CT, spine. the image spans 204 mm across. sagittal view. scan covers 5 annotated vertebrae
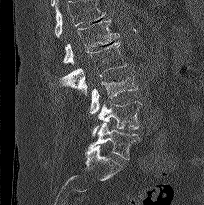
Coordinates as <box>x1,y1,x2,y2</box>.
Where the top of the scan cuts through a vertebra, that vertebra gets no label or box.
Vertebra bounding boxes:
- L1: <box>62,19,119,64</box>
- L2: <box>51,41,126,95</box>
- L3: <box>90,70,138,113</box>
- L4: <box>91,101,141,136</box>
- L5: <box>88,122,140,160</box>